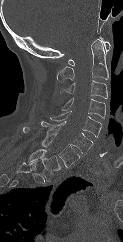 CT spine. sagittal view. the image spans 123 mm across
Boxes: x1 y1 x2 y2 (pixel coords, space-separated). In this scan, the topmost labeled vertebra is C1 and the lowest is T1. The labeled vertebrae in this slice are: C1 at 68 36 111 65, C2 at 57 39 108 81, C3 at 59 80 107 98, C4 at 61 98 105 118, C5 at 50 111 101 138, C6 at 41 121 93 154, C7 at 23 127 81 167, T1 at 28 149 60 180.